Spine CT · sagittal view · 512x943 px
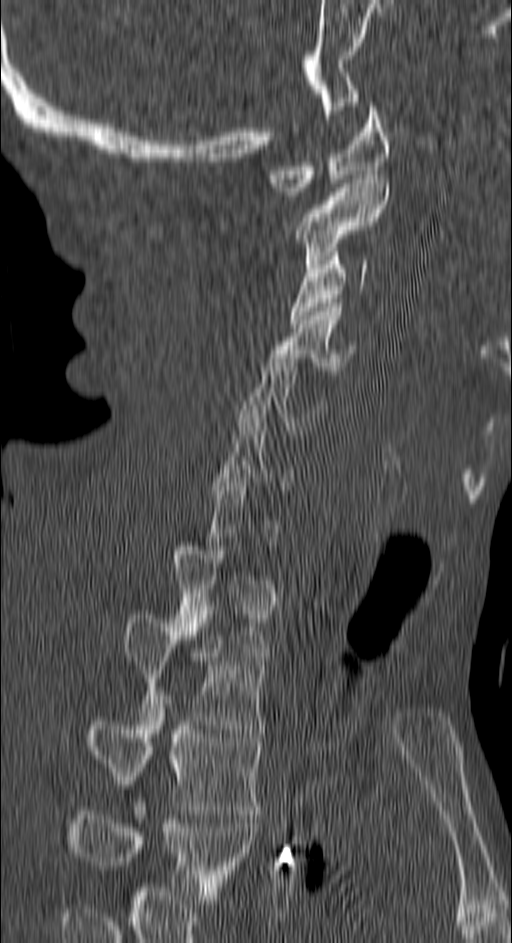

Each box given as x1,y1,x2,y2.
Not every vertebra on this slice has a box: a vertebra is boxed only from the first to the last slice where its cross-section is at least a third of its largest, and this slice is outside that range for at least one of them.
The highest labeled vertebra in this scan is C1; the lowest is T4.
Vertebra bounding boxes:
- C1: x1=267, y1=102, x2=389, y2=195
- C2: x1=295, y1=175, x2=389, y2=268
- C3: x1=290, y1=252, x2=369, y2=323
- C4: x1=269, y1=303, x2=354, y2=370
- C5: x1=237, y1=354, x2=326, y2=434
- T1: x1=172, y1=546, x2=266, y2=656
- T2: x1=124, y1=614, x2=266, y2=733
- T3: x1=90, y1=695, x2=263, y2=814
- T4: x1=73, y1=802, x2=256, y2=904